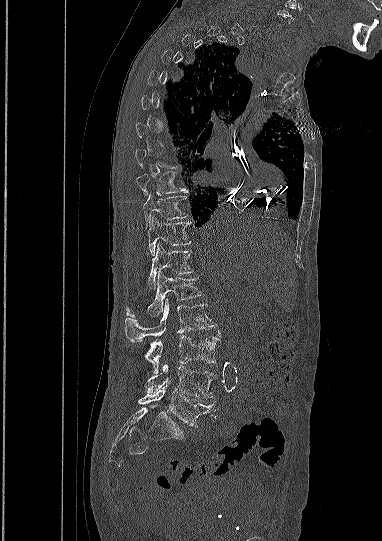 Computed tomography of the spine — sagittal reformat — 382x541 px
Boxes are given in columns x1, y1, x2, y2, the pixel coordinates of their top-left and bottom-right corners.
Each vertebra is boxed only on the slices from the first to the last where its cross-section reaches a third of its largest, so a slice outside that range leaves it unboxed.
| vertebra | x1 | y1 | x2 | y2 |
|---|---|---|---|---|
| T9 | 135 | 172 | 187 | 195 |
| T10 | 142 | 194 | 187 | 226 |
| T11 | 147 | 217 | 191 | 254 |
| T12 | 148 | 244 | 193 | 288 |
| L1 | 126 | 273 | 202 | 317 |
| L2 | 125 | 298 | 214 | 342 |
| L3 | 145 | 335 | 216 | 375 |
| L4 | 145 | 364 | 214 | 398 |
| L5 | 138 | 384 | 214 | 426 |